Spine CT · sagittal reformat · W/L 1800/400 HU · image width 160 mm · scan covers 8 annotated vertebrae
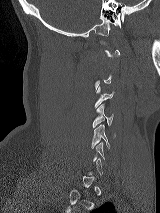 Coordinates as <box>x1,y1,x2,y2</box>. Not every vertebra on this slice has a box: a vertebra is boxed only from the first to the last slice where its cross-section is at least a third of its largest, and this slice is outside that range for at least one of them. The labeled vertebrae in this slice are: C4 at <box>92,104,113,127</box>, C5 at <box>91,124,109,148</box>.